Computed tomography of the spine. sagittal view. 512x696 px. scan covers 10 annotated vertebrae
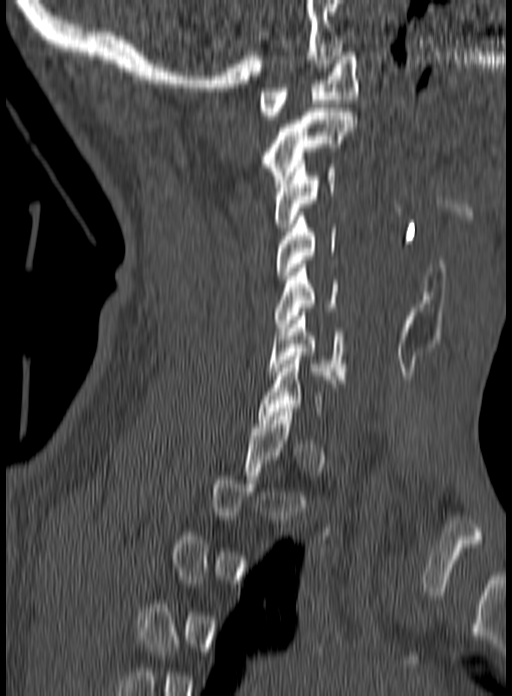

Each vertebra is boxed only on the slices from the first to the last where its cross-section reaches a third of its largest, so a slice outside that range leaves it unboxed.
<vertebrae><v name="C6" x1="267" y1="308" x2="346" y2="383"/><v name="C5" x1="275" y1="264" x2="338" y2="331"/><v name="C4" x1="276" y1="212" x2="335" y2="279"/><v name="C3" x1="273" y1="160" x2="336" y2="231"/><v name="C2" x1="264" y1="108" x2="357" y2="187"/><v name="C1" x1="259" y1="48" x2="359" y2="119"/></vertebrae>